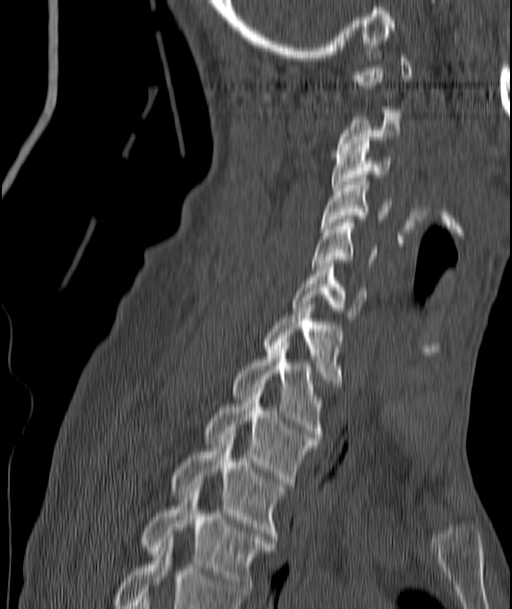

CT spine; sagittal view; 512x609 px
Each vertebra is boxed only on the slices from the first to the last where its cross-section reaches a third of its largest, so a slice outside that range leaves it unboxed.
<vertebrae><v name="C3" x1="332" y1="144" x2="389" y2="191"/><v name="C4" x1="321" y1="178" x2="389" y2="228"/><v name="C5" x1="310" y1="219" x2="375" y2="266"/><v name="C6" x1="291" y1="264" x2="367" y2="317"/><v name="C7" x1="264" y1="305" x2="342" y2="386"/><v name="T1" x1="231" y1="339" x2="323" y2="437"/><v name="T2" x1="203" y1="390" x2="317" y2="485"/><v name="T3" x1="171" y1="435" x2="285" y2="540"/><v name="T4" x1="141" y1="489" x2="274" y2="595"/></vertebrae>